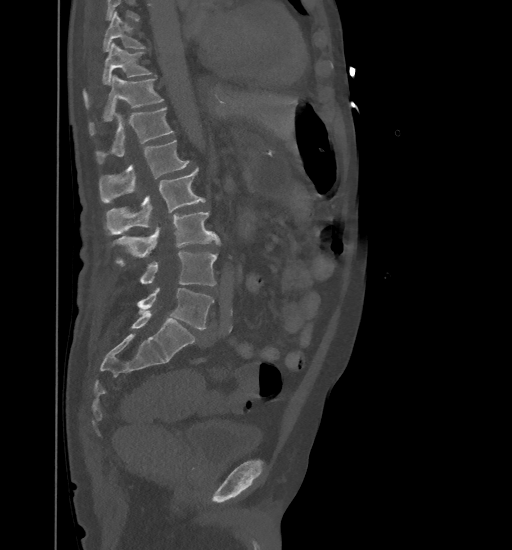 Spine computed tomography; sagittal view; 512x550 px; 461 mm wide
Each box is [x1, y1, x2, y2] in pixels: top-left corner, then bottom-right corner.
Where the top of the scan cuts through a vertebra, that vertebra gets no label or box.
{"vertebrae":{"L5":[137,288,214,330],"L4":[140,251,217,286],"L3":[112,212,219,264],"L2":[105,168,205,234],"L1":[99,140,190,202],"T12":[95,107,173,162],"T11":[89,75,163,135],"T10":[84,42,152,106],"T9":[103,12,145,51]}}